Spine computed tomography · sagittal view · 512x700 px
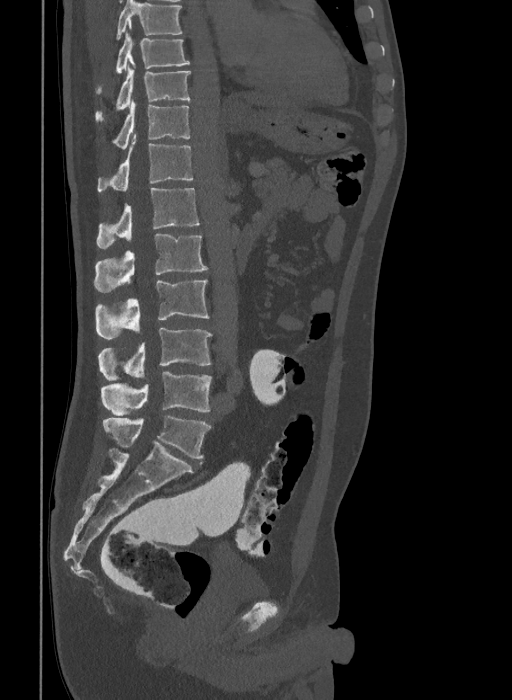
In this scan, the topmost labeled vertebra is T9 and the lowest is L6.
These labels give the spine a sixth lumbar vertebra, L6, below L5.
<vertebrae><v name="T9" x1="95" y1="33" x2="190" y2="94"/><v name="T10" x1="95" y1="68" x2="190" y2="123"/><v name="T11" x1="99" y1="100" x2="190" y2="148"/><v name="T12" x1="98" y1="135" x2="193" y2="192"/><v name="L1" x1="96" y1="188" x2="199" y2="248"/><v name="L2" x1="94" y1="234" x2="208" y2="292"/><v name="L3" x1="95" y1="279" x2="209" y2="339"/><v name="L4" x1="98" y1="328" x2="212" y2="381"/><v name="L5" x1="101" y1="372" x2="212" y2="415"/><v name="L6" x1="103" y1="416" x2="210" y2="459"/></vertebrae>